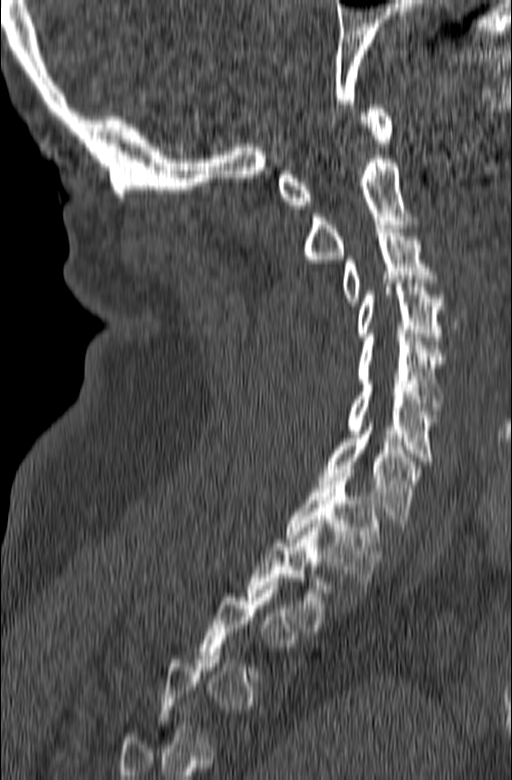
Spine computed tomography · sagittal view · bone-window reconstruction · 512x780 px. Box edges are left/top/right/bottom in pixels. A vertebra gets a box only on the slices from the first to the last where its cross-section is at least a third of its largest; on a slice outside that range it gets none. Vertebrae labeled: C1 at left=277, top=105, right=393, bottom=208, C2 at left=302, top=155, right=419, bottom=263, C3 at left=342, top=225, right=438, bottom=305, C4 at left=355, top=279, right=444, bottom=344, C5 at left=358, top=334, right=445, bottom=414, C6 at left=345, top=380, right=437, bottom=464, C7 at left=318, top=419, right=425, bottom=527, T1 at left=286, top=469, right=380, bottom=585, T2 at left=246, top=524, right=330, bottom=631.